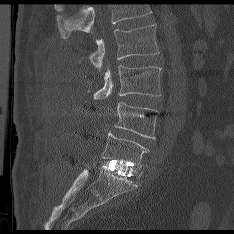

CT, spine; sagittal view; image 234 mm wide
A vertebra cut off by the top edge of the scan is not labeled and has no box.
<vertebrae><v name="L2" x1="89" y1="25" x2="158" y2="69"/><v name="L3" x1="93" y1="65" x2="161" y2="99"/><v name="L4" x1="114" y1="102" x2="156" y2="140"/><v name="L5" x1="101" y1="132" x2="148" y2="168"/></vertebrae>